Computed tomography of the spine — sagittal plane, index 303 — the image spans 150 mm across — 512x943 px — scan covers 11 annotated vertebrae
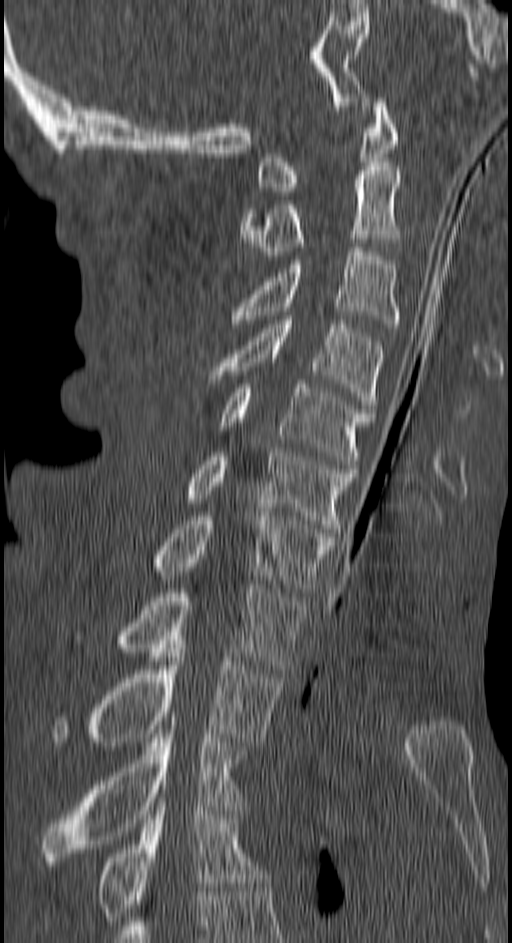

Boxes are (x1, y1, x2, y2) in pixels.
T4: (97, 802, 266, 921)
T3: (42, 721, 246, 865)
T2: (52, 644, 284, 746)
T1: (114, 585, 305, 673)
C7: (151, 512, 335, 592)
C6: (186, 448, 355, 532)
C5: (220, 384, 374, 468)
C4: (209, 316, 383, 413)
C3: (232, 247, 400, 328)
C2: (240, 166, 400, 259)
C1: (256, 98, 396, 191)